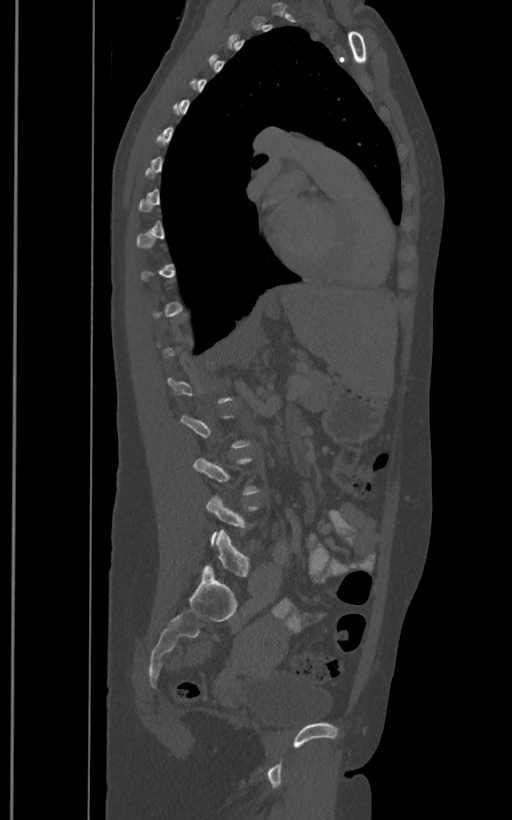

CT. image 400 mm wide. sagittal reformat. bone-window reconstruction. 512x820 px

Box edges are left/top/right/bottom in pixels.
A vertebra is boxed only from the first to the last slice where its cross-section is at least a third of its largest; slices outside that range leave it without a box.
In these labels the spine has an L6, a sixth lumbar vertebra below L5.
L5: left=206, top=494, right=259, bottom=544
L6: left=205, top=530, right=250, bottom=576